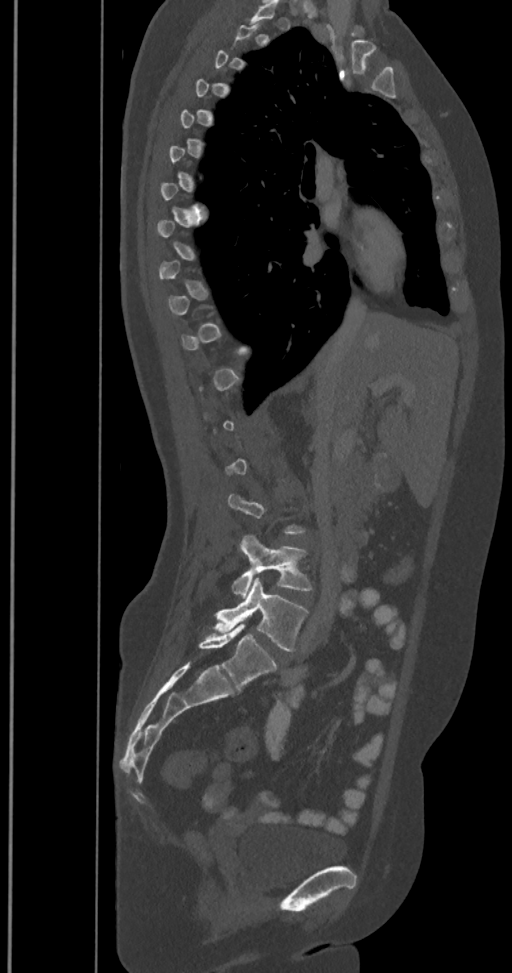

Spine computed tomography — sagittal view
Box edges are left/top/right/bottom in pixels.
Not every vertebra on this slice has a box: a vertebra is boxed only from the first to the last slice where its cross-section is at least a third of its largest, and this slice is outside that range for at least one of them.
These labels give the spine a sixth lumbar vertebra, L6, below L5.
| vertebra | x1 | y1 | x2 | y2 |
|---|---|---|---|---|
| L4 | 232 | 535 | 312 | 597 |
| L5 | 213 | 578 | 307 | 651 |
| L6 | 199 | 624 | 277 | 689 |